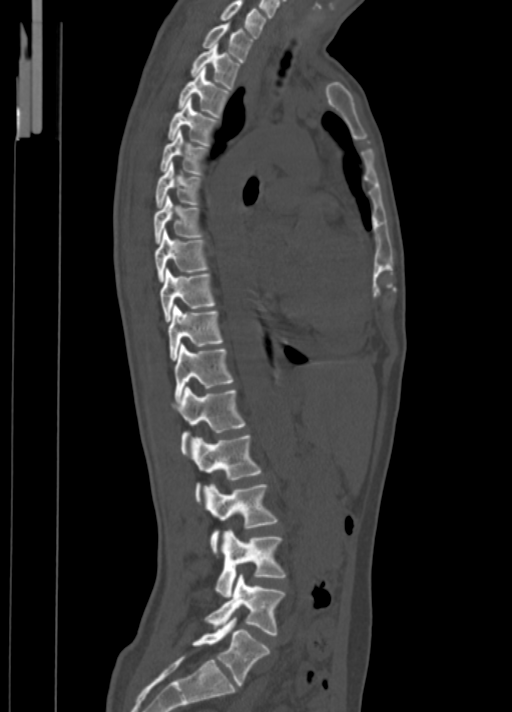

CT, spine — sagittal view — 512x712 px

In the table, x1 and y1 are a box's top-left corner and x2 and y2 its bottom-right corner, in pixels.
| vertebra | x1 | y1 | x2 | y2 |
|---|---|---|---|---|
| C7 | 221 | 0 | 266 | 37 |
| T1 | 202 | 23 | 252 | 62 |
| T2 | 190 | 44 | 240 | 90 |
| T3 | 178 | 67 | 230 | 117 |
| T4 | 168 | 98 | 218 | 145 |
| T5 | 159 | 130 | 208 | 175 |
| T6 | 155 | 161 | 201 | 207 |
| T7 | 153 | 196 | 202 | 243 |
| T8 | 155 | 228 | 208 | 281 |
| T9 | 159 | 268 | 215 | 322 |
| T10 | 168 | 304 | 223 | 360 |
| T11 | 174 | 344 | 233 | 403 |
| T12 | 172 | 386 | 245 | 454 |
| L1 | 190 | 434 | 261 | 502 |
| L2 | 205 | 484 | 278 | 553 |
| L3 | 215 | 530 | 285 | 597 |
| L4 | 205 | 573 | 285 | 635 |
| L5 | 193 | 617 | 269 | 685 |